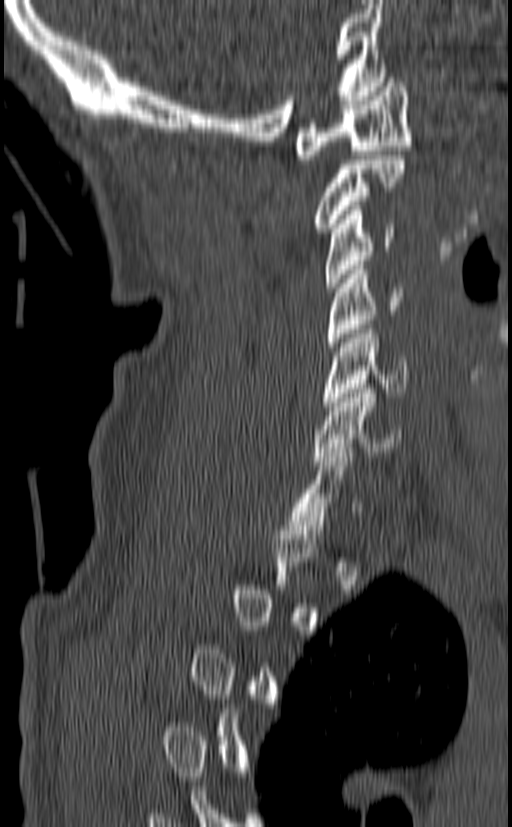
Spine CT — sagittal view — 512x827 px
A vertebra gets a box only on the slices from the first to the last where its cross-section is at least a third of its largest; on a slice outside that range it gets none.
<vertebrae><v name="C7" x1="288" y1="448" x2="362" y2="534"/><v name="C6" x1="313" y1="384" x2="401" y2="465"/><v name="C5" x1="321" y1="325" x2="410" y2="406"/><v name="C4" x1="327" y1="265" x2="403" y2="351"/><v name="C3" x1="325" y1="206" x2="394" y2="292"/><v name="C2" x1="312" y1="155" x2="406" y2="232"/><v name="C1" x1="294" y1="78" x2="411" y2="159"/></vertebrae>